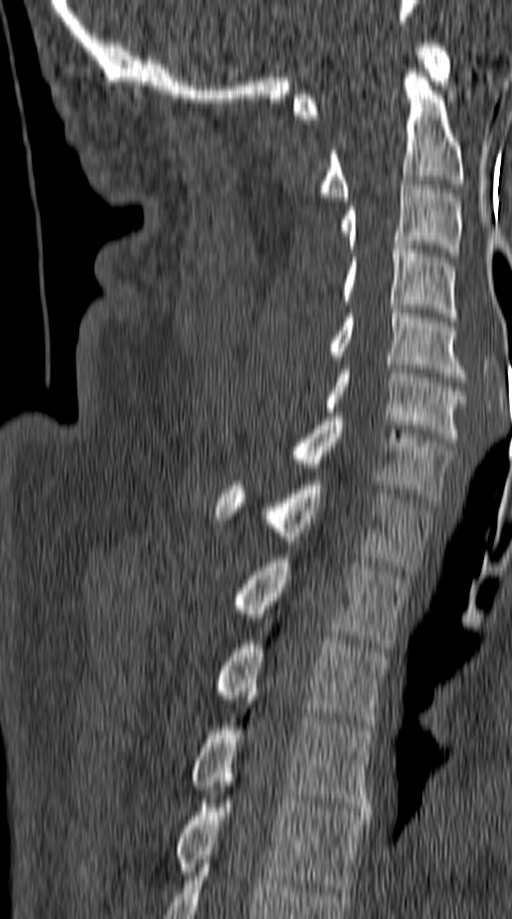
CT — sagittal view — bone window
Boxes are (x1, y1, x2, y2) in pixels. Vertebrae labeled: C1 at (293, 43, 452, 119), C2 at (321, 69, 464, 201), C3 at (341, 185, 461, 257), C4 at (341, 245, 457, 321), C5 at (329, 309, 466, 377), C6 at (326, 365, 466, 441), C7 at (290, 412, 452, 502), T1 at (216, 481, 433, 570), T2 at (235, 554, 409, 648), T3 at (214, 640, 389, 729), T4 at (190, 700, 375, 815), T5 at (176, 795, 366, 892).